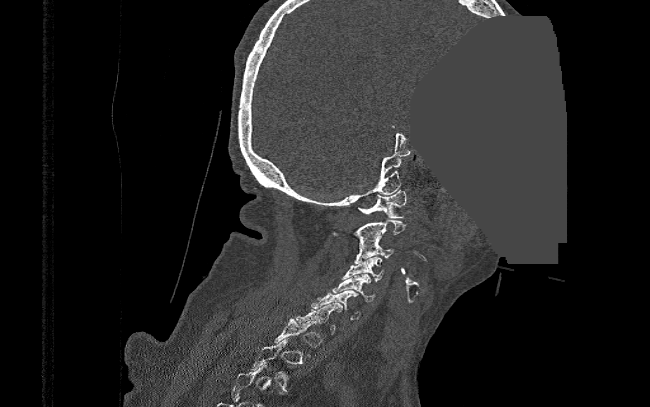
Spine CT. sagittal view. a portion of the image is blanked out (constant pixel value)
Each vertebra is boxed only on the slices from the first to the last where its cross-section reaches a third of its largest, so a slice outside that range leaves it unboxed.
<vertebrae><v name="C1" x1="358" y1="190" x2="405" y2="218"/><v name="C2" x1="331" y1="220" x2="405" y2="245"/><v name="C3" x1="354" y1="240" x2="394" y2="263"/><v name="C4" x1="343" y1="256" x2="384" y2="281"/><v name="C5" x1="333" y1="274" x2="375" y2="301"/><v name="C6" x1="311" y1="290" x2="361" y2="319"/><v name="C7" x1="296" y1="303" x2="343" y2="331"/><v name="T2" x1="249" y1="338" x2="288" y2="391"/></vertebrae>